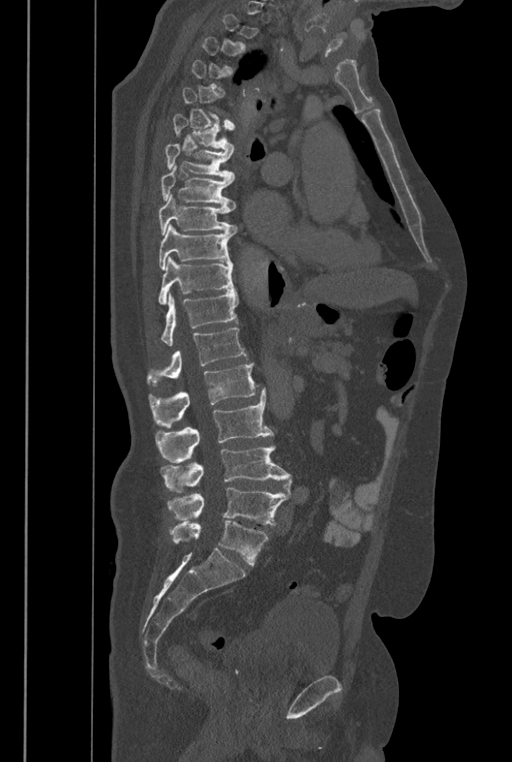 Spine CT; sagittal view; Bone window (WL 400, WW 1800)
A vertebra gets a box only on the slices from the first to the last where its cross-section is at least a third of its largest; on a slice outside that range it gets none.
In these labels the spine has an L6, a sixth lumbar vertebra below L5.
<vertebrae><v name="T6" x1="173" y1="114" x2="234" y2="152"/><v name="T7" x1="165" y1="144" x2="234" y2="180"/><v name="T8" x1="161" y1="165" x2="235" y2="210"/><v name="T9" x1="158" y1="194" x2="237" y2="235"/><v name="T10" x1="158" y1="224" x2="235" y2="270"/><v name="T11" x1="158" y1="256" x2="234" y2="305"/><v name="T12" x1="161" y1="291" x2="238" y2="345"/><v name="L1" x1="147" y1="328" x2="248" y2="385"/><v name="L2" x1="149" y1="363" x2="261" y2="428"/><v name="L3" x1="155" y1="388" x2="273" y2="462"/><v name="L4" x1="161" y1="445" x2="292" y2="496"/><v name="L5" x1="168" y1="487" x2="287" y2="525"/><v name="L6" x1="170" y1="521" x2="268" y2="565"/></vertebrae>